CT, spine — 369 mm image width — Sagittal slice 176/369 — bone window
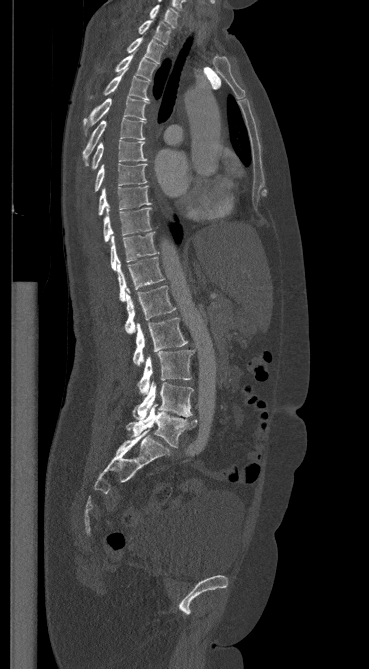

Box edges are left/top/right/bottom in pixels. Vertebrae labeled: C7 at left=149, top=4, right=178, bottom=27, T1 at left=138, top=20, right=170, bottom=44, T2 at left=127, top=37, right=163, bottom=63, T3 at left=115, top=54, right=155, bottom=80, T4 at left=103, top=69, right=148, bottom=100, T5 at left=83, top=96, right=149, bottom=132, T6 at left=83, top=118, right=146, bottom=165, T7 at left=91, top=140, right=146, bottom=169, T8 at left=94, top=163, right=146, bottom=191, T9 at left=98, top=186, right=150, bottom=215, T10 at left=103, top=206, right=151, bottom=241, T11 at left=110, top=233, right=157, bottom=270, T12 at left=117, top=257, right=164, bottom=301, L1 at left=124, top=286, right=175, bottom=334, L2 at left=133, top=318, right=187, bottom=366, L3 at left=138, top=350, right=193, bottom=394, L4 at left=133, top=381, right=193, bottom=420, L5 at left=126, top=404, right=196, bottom=447.